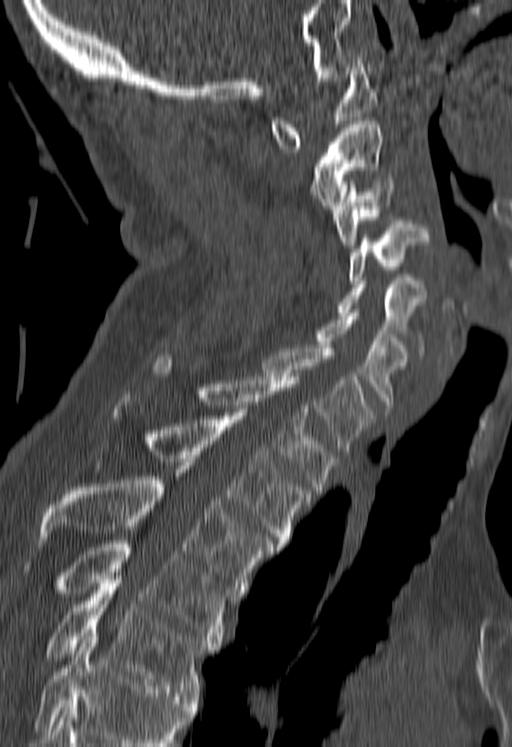
Computed tomography of the spine. sagittal view

Each vertebra maps to its box as [x1, y1, x2, y2], the pixel coordinates of its top-left and bottom-right corners.
A vertebra cut off by the bottom edge of the scan is not labeled and has no box.
{"vertebrae":{"C1":[270,57,377,152],"C2":[311,121,381,212],"C3":[334,178,395,248],"C4":[348,220,429,283],"C5":[337,281,425,351],"C6":[314,309,409,411],"C7":[263,345,373,454],"T1":[150,356,336,493],"T2":[112,395,310,547],"T3":[39,476,273,596],"T4":[58,540,230,646],"T5":[46,580,213,699]}}